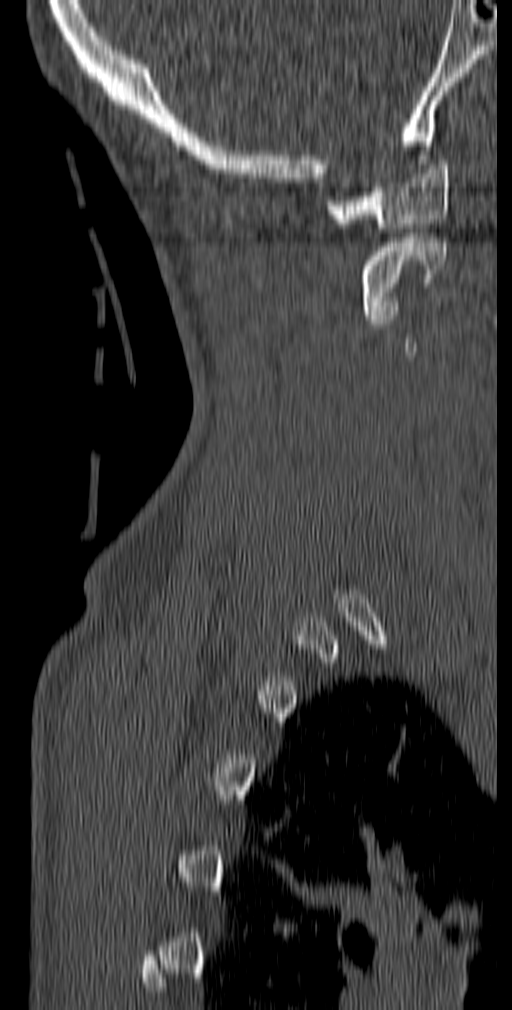

Spine computed tomography — sagittal view — image 140 mm wide — 512x1010 px

Boxes: x1 y1 x2 y2 (pixel coords, space-separated).
A vertebra gets a box only on the slices from the first to the last where its cross-section is at least a third of its largest; on a slice outside that range it gets none.
Vertebra bounding boxes:
- C1: 326 160 450 232
- C2: 360 238 447 319